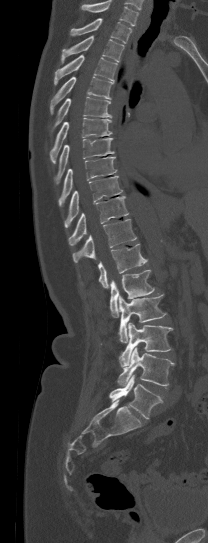 CT spine — sagittal view — 208x543 px
In the table, x1 and y1 are a box's top-left corner and x2 and y2 its bottom-right corner, in pixels.
Where the top of the scan cuts through a vertebra, that vertebra gets no label or box.
| vertebra | x1 | y1 | x2 | y2 |
|---|---|---|---|---|
| L5 | 109 | 375 | 162 | 418 |
| L4 | 117 | 347 | 175 | 386 |
| L3 | 119 | 323 | 172 | 366 |
| L2 | 118 | 294 | 165 | 342 |
| L1 | 110 | 270 | 154 | 317 |
| T12 | 98 | 244 | 148 | 288 |
| T11 | 72 | 219 | 136 | 262 |
| T10 | 68 | 196 | 128 | 245 |
| T9 | 64 | 176 | 122 | 227 |
| T8 | 58 | 157 | 117 | 206 |
| T7 | 54 | 138 | 114 | 183 |
| T6 | 50 | 118 | 111 | 163 |
| T5 | 54 | 97 | 112 | 126 |
| T4 | 50 | 76 | 112 | 114 |
| T3 | 54 | 55 | 116 | 84 |
| T2 | 61 | 36 | 123 | 62 |
| T1 | 70 | 18 | 132 | 43 |